Spine CT; sagittal plane, index 160; 300x346 px; scan covers 7 annotated vertebrae
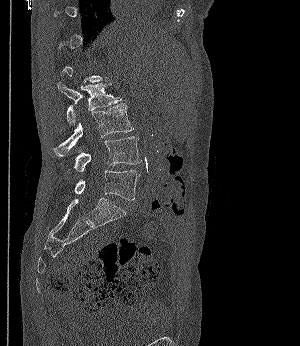 Box edges are left/top/right/bottom in pixels. A vertebra is boxed only from the first to the last slice where its cross-section is at least a third of its largest; slices outside that range leave it without a box. The labeled vertebrae in this slice are: L5 at left=74, top=170, right=139, bottom=200, L4 at left=73, top=136, right=141, bottom=172, L3 at left=53, top=104, right=133, bottom=156, L2 at left=57, top=82, right=121, bottom=124.